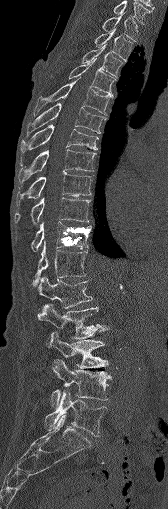

CT, spine — sagittal reformat — 168x509 px
In the table, x1 and y1 are a box's top-left corner and x2 and y2 its bottom-right corner, in pixels.
| vertebra | x1 | y1 | x2 | y2 |
|---|---|---|---|---|
| C7 | 113 | 1 | 149 | 24 |
| T1 | 102 | 13 | 138 | 41 |
| T2 | 95 | 28 | 132 | 59 |
| T3 | 82 | 44 | 123 | 76 |
| T4 | 69 | 59 | 115 | 96 |
| T5 | 35 | 80 | 110 | 115 |
| T6 | 27 | 103 | 105 | 134 |
| T7 | 20 | 124 | 97 | 165 |
| T8 | 17 | 149 | 95 | 186 |
| T9 | 16 | 172 | 92 | 205 |
| T10 | 15 | 198 | 89 | 223 |
| T11 | 31 | 221 | 91 | 251 |
| T12 | 32 | 241 | 86 | 286 |
| L1 | 38 | 277 | 92 | 308 |
| L2 | 37 | 303 | 108 | 338 |
| L3 | 47 | 330 | 108 | 367 |
| L4 | 50 | 359 | 111 | 408 |
| L5 | 45 | 390 | 107 | 436 |